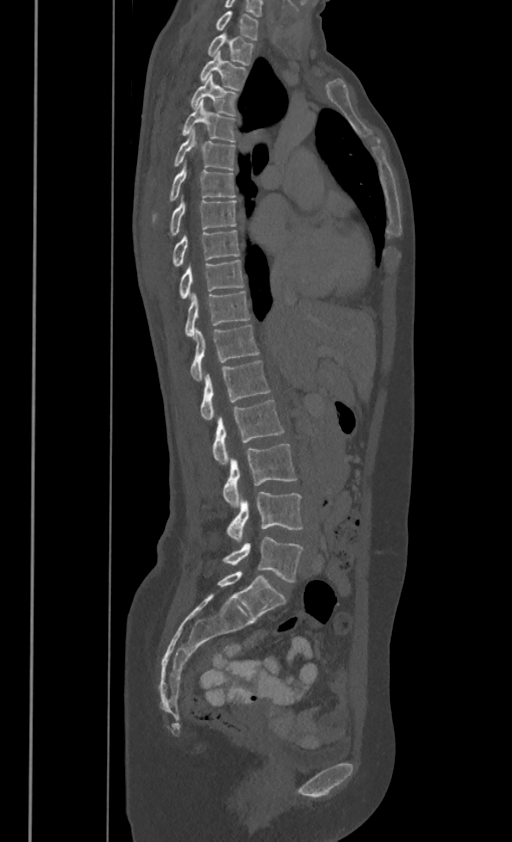

Computed tomography of the spine; sagittal view; 386 mm image width; bone window

Bounding boxes as [x1, y1, x2, y2] in pixel coordinates.
In these labels the spine has no T12: the thoracic vertebrae end at T11, and L1 comes next.
Vertebra bounding boxes:
- C7: [216, 11, 257, 38]
- T1: [208, 31, 254, 63]
- T2: [200, 51, 247, 89]
- T3: [191, 74, 236, 114]
- T4: [182, 99, 235, 141]
- T5: [174, 128, 235, 169]
- T6: [152, 162, 235, 219]
- T7: [170, 196, 235, 234]
- T8: [172, 229, 239, 265]
- T9: [179, 258, 243, 297]
- T10: [184, 290, 250, 336]
- T11: [191, 324, 259, 380]
- L1: [200, 359, 269, 418]
- L2: [212, 399, 284, 465]
- L3: [223, 444, 296, 506]
- L4: [227, 492, 301, 541]
- L5: [224, 537, 303, 582]